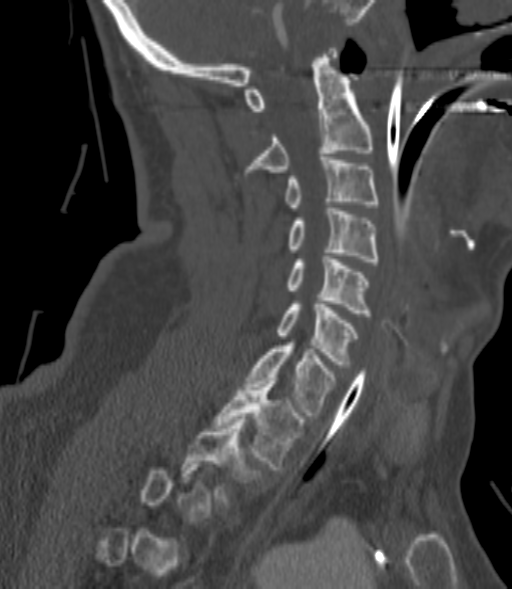

CT, spine — sagittal view — 200 mm wide
Each vertebra maps to its box as [x1, y1, x2, y2], the pixel coordinates of its top-left and bottom-right corners.
Each vertebra is boxed only on the slices from the first to the last where its cross-section reaches a third of its largest, so a slice outside that range leaves it unboxed.
{"vertebrae":{"C2":[244,48,374,175],"C3":[285,157,379,210],"C4":[288,208,379,261],"C5":[285,256,371,316],"C6":[277,301,358,367],"C7":[247,342,335,415],"T1":[213,378,304,469],"T2":[180,419,263,505]}}